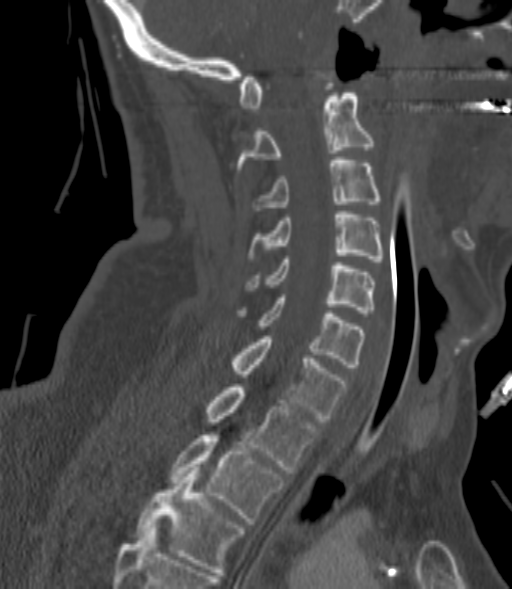

CT. sagittal view. bone-window reconstruction. 512x589 px. image 200 mm wide
Boxes: x1:y1:x2:y2 in pixels.
A vertebra gets a box only on the slices from the first to the last where its cross-section is at least a third of its largest; on a slice outside that range it gets none.
C2: 236:93:374:172
C3: 254:160:379:210
C4: 249:211:384:261
C5: 249:259:374:313
C6: 239:294:363:367
C7: 231:336:348:421
T1: 206:384:317:473
T2: 170:435:284:524
T3: 136:467:243:575